CT spine — sagittal view — bone-window reconstruction
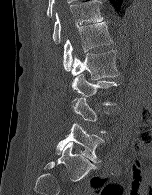 Box edges are left/top/right/bottom in pixels.
Not every vertebra on this slice has a box: a vertebra is boxed only from the first to the last slice where its cross-section is at least a third of its largest, and this slice is outside that range for at least one of them.
Vertebra bounding boxes:
- T12: left=52, top=0, right=104, bottom=43
- L1: left=63, top=21, right=112, bottom=71
- L2: left=71, top=50, right=119, bottom=79
- L3: left=71, top=73, right=118, bottom=105
- L5: left=56, top=123, right=103, bottom=163